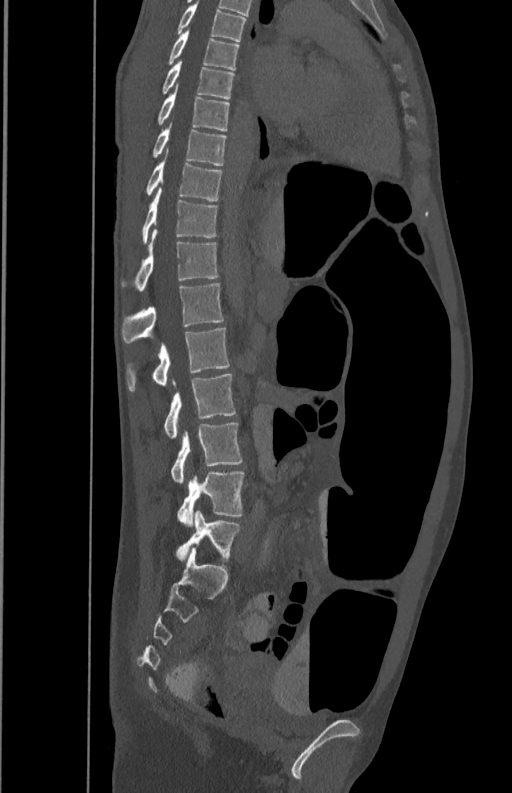 Computed tomography of the spine. sagittal view. bone-window reconstruction. 350 mm across the image

Boxes: x1 y1 x2 y2 (pixel coords, space-separated).
Vertebra bounding boxes:
- L5: 177 471 243 527
- L4: 171 423 242 483
- L3: 164 374 236 439
- L2: 127 328 228 391
- L1: 121 283 223 343
- T12: 121 229 218 291
- T11: 142 188 217 243
- T10: 145 159 223 200
- T9: 152 122 226 165
- T8: 156 90 230 131
- T7: 162 59 234 98
- T6: 168 30 239 69
- T5: 177 1 246 41